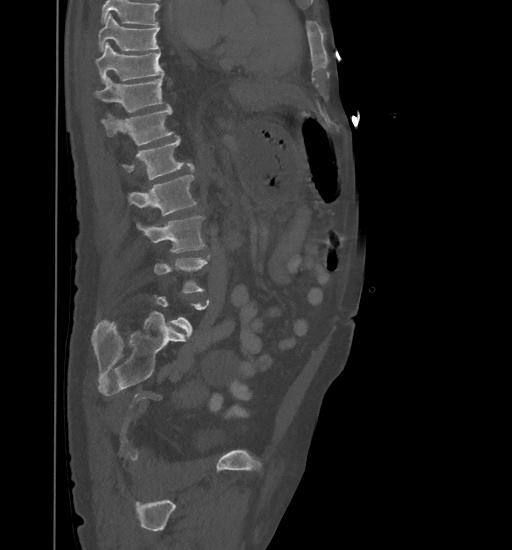

CT spine. sagittal reformat. Bone window (WL 400, WW 1800)
Each vertebra is boxed only on the slices from the first to the last where its cross-section reaches a third of its largest, so a slice outside that range leaves it unboxed.
Where the top of the scan cuts through a vertebra, that vertebra gets no label or box.
<vertebrae><v name="T9" x1="99" y1="13" x2="159" y2="51"/><v name="T10" x1="95" y1="42" x2="163" y2="83"/><v name="T11" x1="95" y1="73" x2="164" y2="112"/><v name="T12" x1="101" y1="106" x2="173" y2="145"/><v name="L1" x1="122" y1="136" x2="194" y2="179"/><v name="L2" x1="128" y1="175" x2="196" y2="216"/><v name="L3" x1="136" y1="216" x2="205" y2="252"/><v name="L4" x1="153" y1="255" x2="209" y2="292"/></vertebrae>